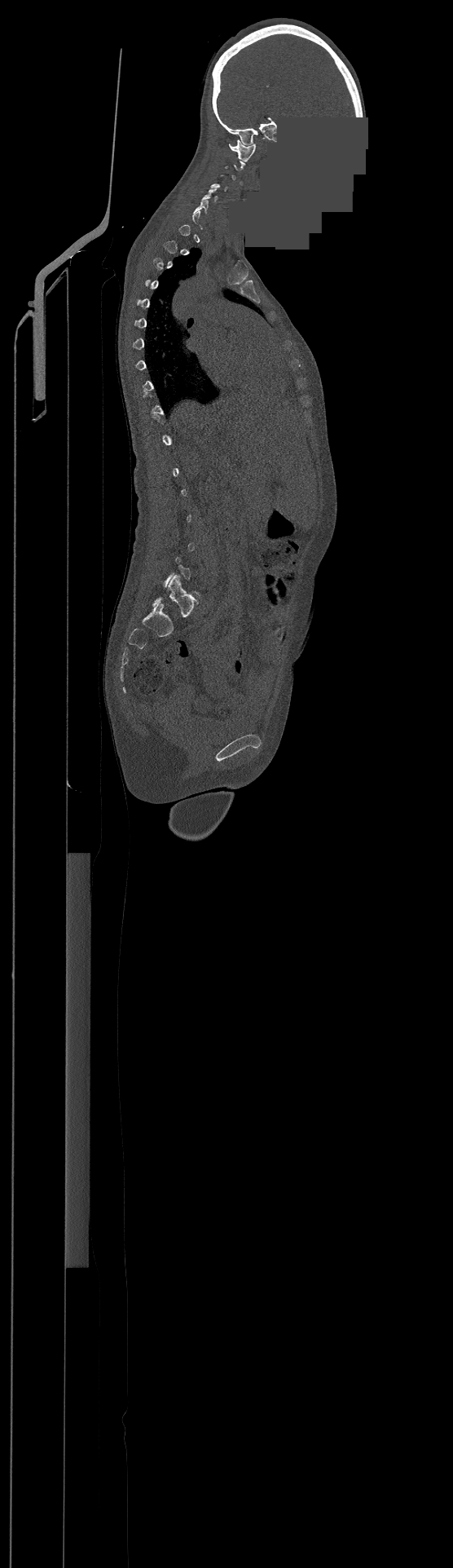

CT. sagittal reformat. 453x1568 px. an area of the scan was removed and filled with constant pixels

Box edges are left/top/right/bottom in pixels.
A vertebra is boxed only from the first to the last slice where its cross-section is at least a third of its largest; slices outside that range leave it without a box.
| vertebra | x1 | y1 | x2 | y2 |
|---|---|---|---|---|
| C5 | 201 | 188 | 217 | 201 |
| C1 | 229 | 139 | 256 | 161 |